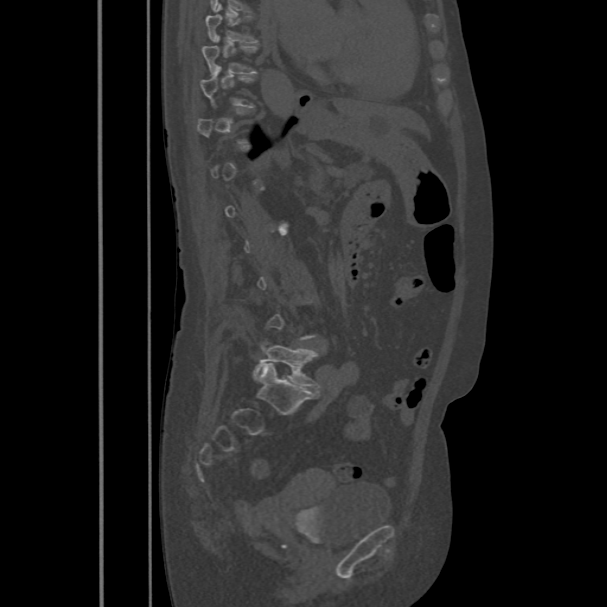

CT, spine; sagittal reformat; 607x607 px

A vertebra gets a box only on the slices from the first to the last where its cross-section is at least a third of its largest; on a slice outside that range it gets none.
<vertebrae><v name="L5" x1="254" y1="345" x2="320" y2="389"/><v name="T9" x1="202" y1="46" x2="256" y2="74"/></vertebrae>